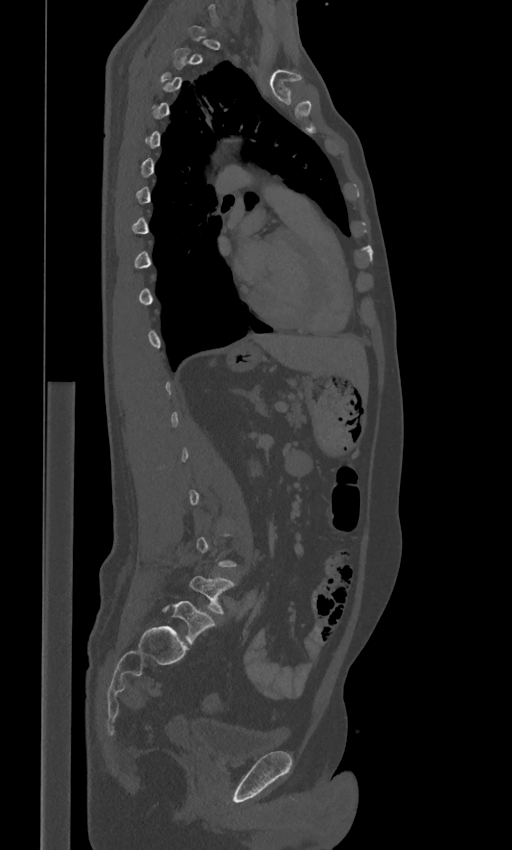
CT spine; sagittal view; W/L 1800/400 HU
Boxes are (x1, y1, x2, y2) in pixels.
Each vertebra is boxed only on the slices from the first to the last where its cross-section reaches a third of its largest, so a slice outside that range leaves it unboxed.
In these labels the spine has an L6, a sixth lumbar vertebra below L5.
L5: (189, 576, 234, 613)
L6: (161, 601, 214, 644)